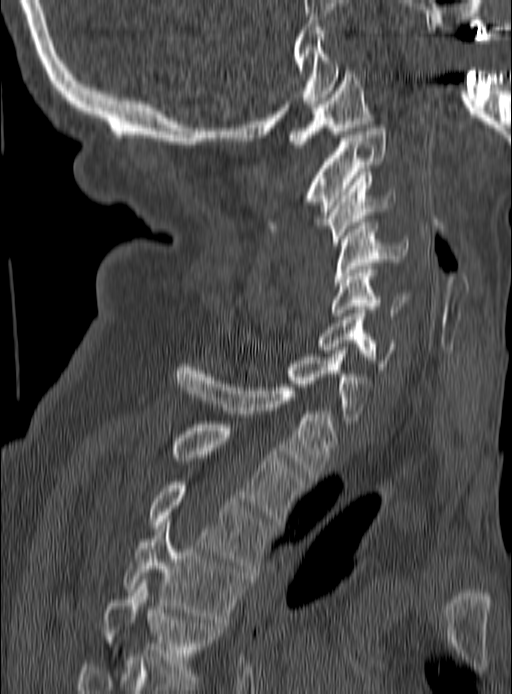

Spine computed tomography — sagittal reformat
Each box is [x1, y1, x2, y2] in pixels: top-left corner, then bottom-right corner.
{"vertebrae":{"C1":[287,64,372,147],"C2":[268,128,385,228],"C3":[322,175,395,245],"C4":[335,222,406,285],"C5":[331,269,408,319],"C6":[319,310,395,370],"C7":[286,350,373,423],"T1":[175,364,337,481],"T2":[173,424,304,524],"T3":[149,482,272,572],"T4":[125,519,248,622],"T5":[103,579,221,686]}}